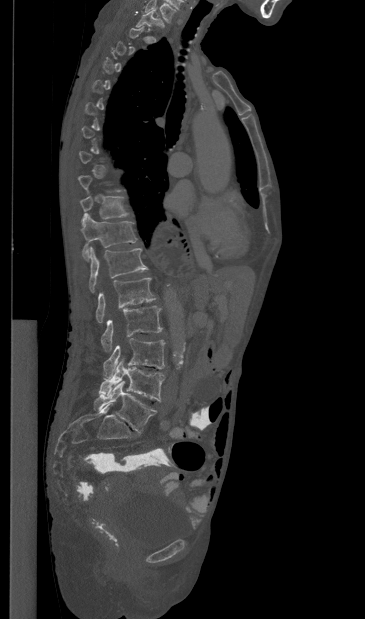

Spine CT · sagittal view · bone window
Box edges are left/top/right/bottom in pixels. Each vertebra is boxed only on the slices from the first to the last where its cross-section reaches a third of its largest, so a slice outside that range leaves it unboxed. The highest labeled vertebra in this scan is T1; the lowest is L5. Vertebrae labeled: T1 at left=136, top=10, right=163, bottom=30, T10 at left=80, top=196, right=128, bottom=219, T11 at left=81, top=213, right=137, bottom=260, T12 at left=89, top=247, right=147, bottom=292, L1 at left=96, top=278, right=155, bottom=322, L2 at left=101, top=306, right=162, bottom=351, L3 at left=103, top=338, right=165, bottom=377, L4 at left=99, top=360, right=164, bottom=401, L5 at left=93, top=381, right=156, bottom=433.